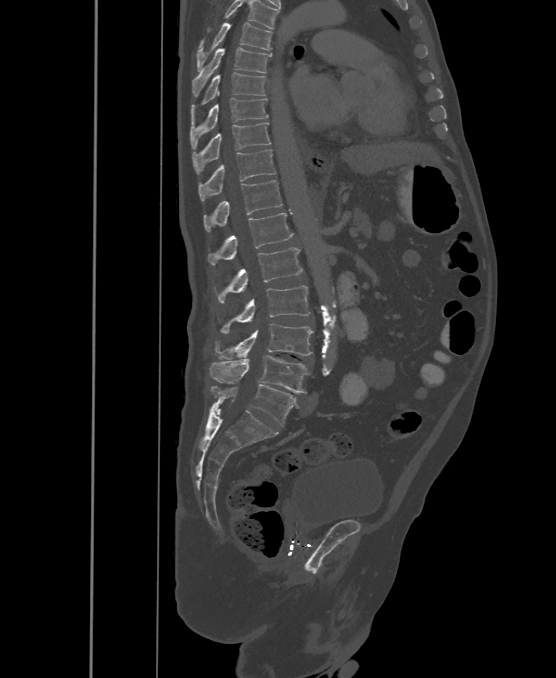 CT spine; sagittal view; W/L 1800/400 HU

Boxes: x1:y1:x2:y2 in pixels.
Labels in this scan begin with T6 at the top and end with L6 at the bottom.
The labels name a sixth lumbar vertebra for this spine: L6, after L5.
T6: 196:23:271:71
T7: 192:47:271:96
T8: 190:73:266:123
T9: 190:98:268:149
T10: 192:123:270:174
T11: 199:149:276:200
T12: 203:180:282:232
L1: 207:213:293:265
L2: 218:247:303:303
L3: 221:285:310:333
L4: 215:324:313:358
L5: 211:356:310:393
L6: 212:384:296:426